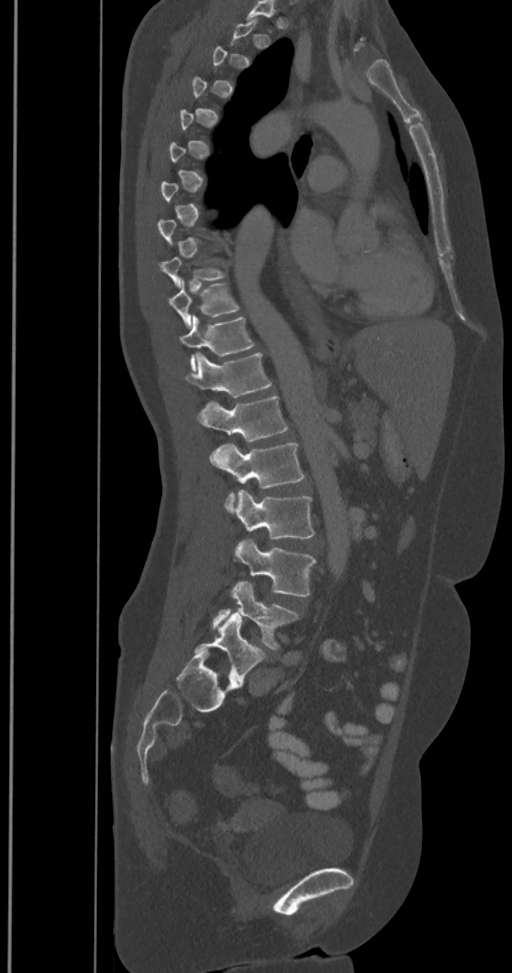 Spine computed tomography · 350 mm across the image · sagittal view · bone window
Coordinates as <box>x1,y1,x2,y2</box>.
A vertebra is boxed only from the first to the last slice where its cross-section is at least a third of its largest; slices outside that range leave it without a box.
The labels name a sixth lumbar vertebra for this spine: L6, after L5.
Vertebra bounding boxes:
- T9: <box>161,250,226,287</box>
- T10: <box>169,279,240,327</box>
- T11: <box>180,315,255,370</box>
- T12: <box>186,352,272,397</box>
- L1: <box>197,395,288,441</box>
- L2: <box>209,442,305,512</box>
- L3: <box>235,490,315,539</box>
- L4: <box>235,538,316,597</box>
- L5: <box>212,581,300,651</box>
- L6: <box>194,612,266,682</box>